Spine CT · Sagittal slice 241/512 · 157 mm across the image · 512x929 px · 13 vertebrae labeled in this scan
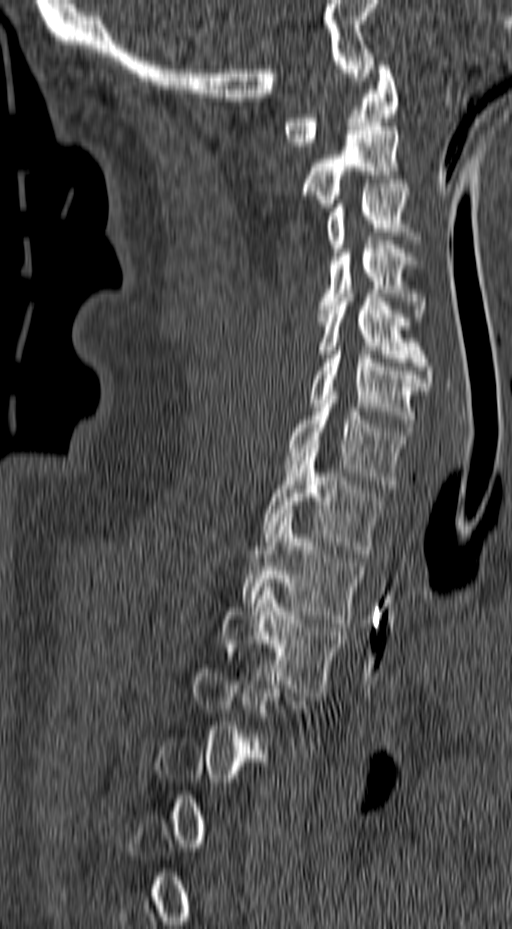

Box edges are left/top/right/bottom in pixels.
A vertebra gets a box only on the slices from the first to the last where its cross-section is at least a third of its largest; on a slice outside that range it gets none.
Vertebra bounding boxes:
- C1: left=282, top=65, right=398, bottom=150
- C2: left=301, top=122, right=406, bottom=207
- C3: left=326, top=183, right=421, bottom=252
- C4: left=317, top=241, right=425, bottom=317
- C5: left=317, top=289, right=433, bottom=386
- C6: left=309, top=346, right=428, bottom=431
- C7: left=285, top=391, right=411, bottom=488
- T1: left=262, top=448, right=382, bottom=557
- T2: left=242, top=514, right=362, bottom=627
- T3: left=220, top=583, right=346, bottom=696